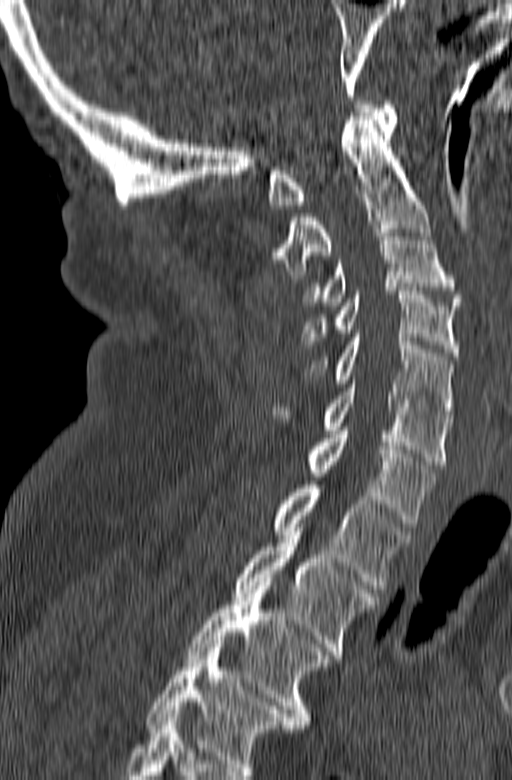
Computed tomography of the spine. sagittal view. the image is 165 mm wide

Boxes are given in columns x1, y1, x2, y2, the pixel coordinates of their top-left and bottom-right corners.
This scan's labels start at C1 at the top and end at T3 at the bottom.
| vertebra | x1 | y1 | x2 | y2 |
|---|---|---|---|---|
| C1 | 267 | 101 | 397 | 208 |
| C2 | 271 | 116 | 431 | 278 |
| C3 | 302 | 229 | 461 | 305 |
| C4 | 302 | 291 | 460 | 356 |
| C5 | 302 | 334 | 453 | 418 |
| C6 | 270 | 380 | 452 | 468 |
| C7 | 305 | 427 | 434 | 527 |
| T1 | 271 | 481 | 409 | 592 |
| T2 | 234 | 528 | 379 | 658 |
| T3 | 187 | 578 | 329 | 728 |